CT · sagittal view · Bone window (WL 400, WW 1800) · 617x640 px · 17 vertebrae labeled in this scan
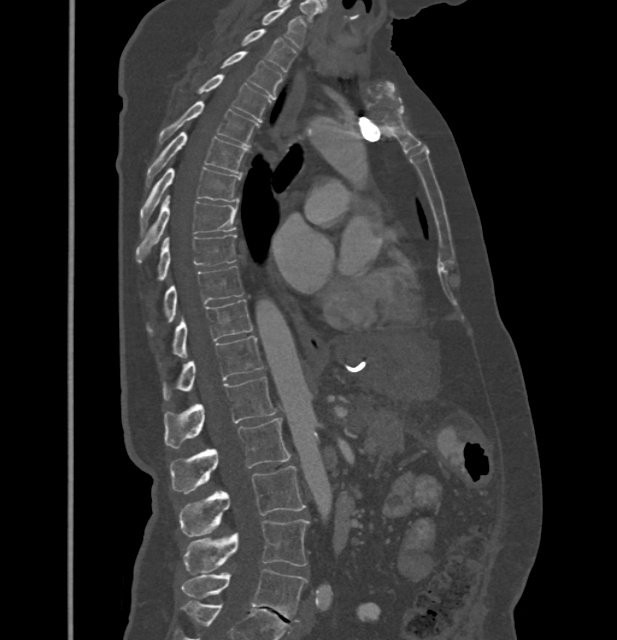
Box edges are left/top/right/bottom in pixels.
These labels give this spine no T12: after T11 the next vertebra is L1.
Vertebra bounding boxes:
- C7: left=262, top=9, right=306, bottom=49
- T1: left=241, top=29, right=296, bottom=72
- T2: left=219, top=52, right=283, bottom=98
- T3: left=180, top=75, right=270, bottom=122
- T4: left=158, top=100, right=259, bottom=146
- T5: left=147, top=132, right=247, bottom=185
- T6: left=140, top=167, right=240, bottom=231
- T7: left=135, top=196, right=238, bottom=262
- T8: left=158, top=235, right=236, bottom=279
- T9: left=164, top=266, right=244, bottom=321
- T10: left=172, top=299, right=252, bottom=356
- T11: left=163, top=336, right=263, bottom=399
- L1: left=164, top=376, right=276, bottom=448
- L2: left=170, top=417, right=291, bottom=494
- L3: left=180, top=466, right=305, bottom=536
- L4: left=183, top=519, right=309, bottom=575
- L5: left=181, top=569, right=306, bottom=621